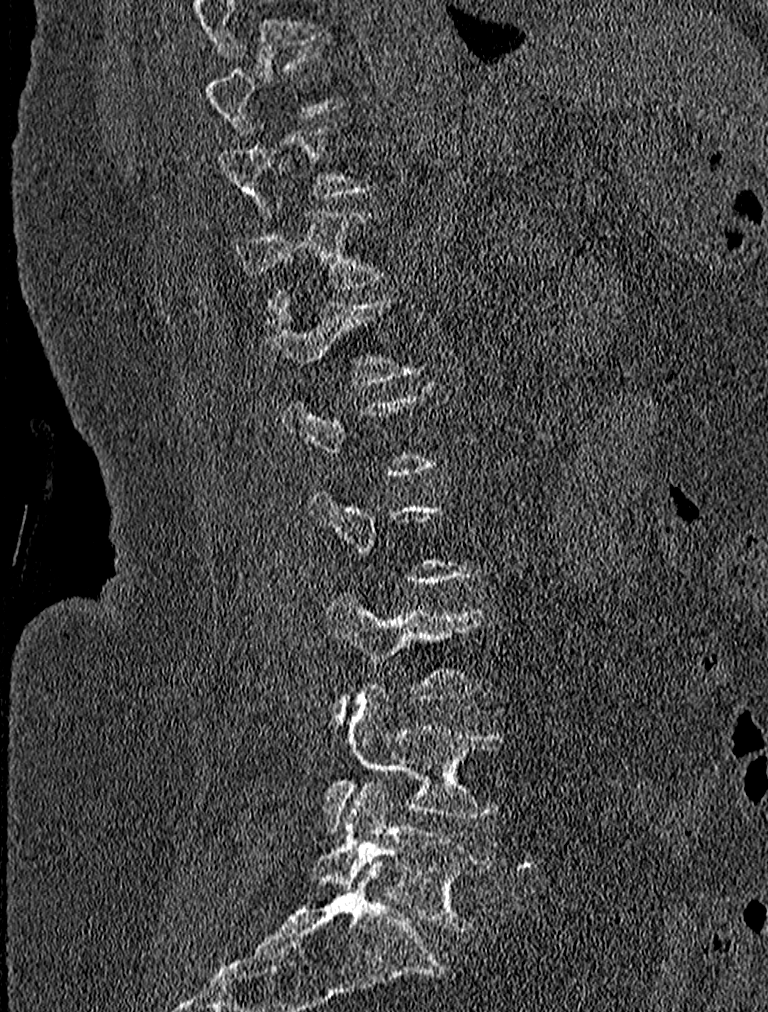

CT. image width 227 mm. sagittal view. 768x1012 px
Box edges are left/top/right/bottom in pixels.
A vertebra is boxed only from the first to the last slice where its cross-section is at least a third of its largest; slices outside that range leave it without a box.
Vertebra bounding boxes:
- L5: left=310, top=779, right=492, bottom=931
- L4: left=324, top=685, right=509, bottom=833
- L3: left=327, top=594, right=483, bottom=725
- T12: left=262, top=291, right=417, bottom=384
- T11: left=236, top=210, right=384, bottom=303